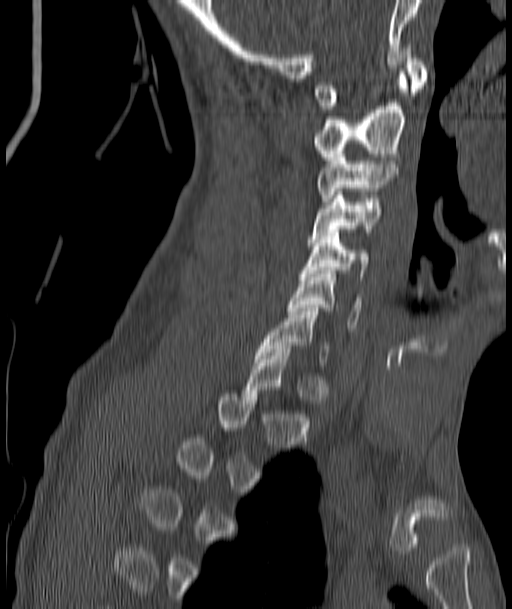
CT, spine · sagittal view. Columns x1, y1, x2, y2 give each box's top-left and bottom-right pixels.
A vertebra gets a box only on the slices from the first to the last where its cross-section is at least a third of its largest; on a slice outside that range it gets none.
| vertebra | x1 | y1 | x2 | y2 |
|---|---|---|---|---|
| C1 | 316 | 51 | 427 | 109 |
| C2 | 313 | 72 | 408 | 163 |
| C3 | 318 | 151 | 396 | 201 |
| C4 | 307 | 192 | 381 | 242 |
| C5 | 302 | 229 | 367 | 276 |
| C6 | 288 | 270 | 361 | 328 |
| C7 | 255 | 308 | 329 | 365 |